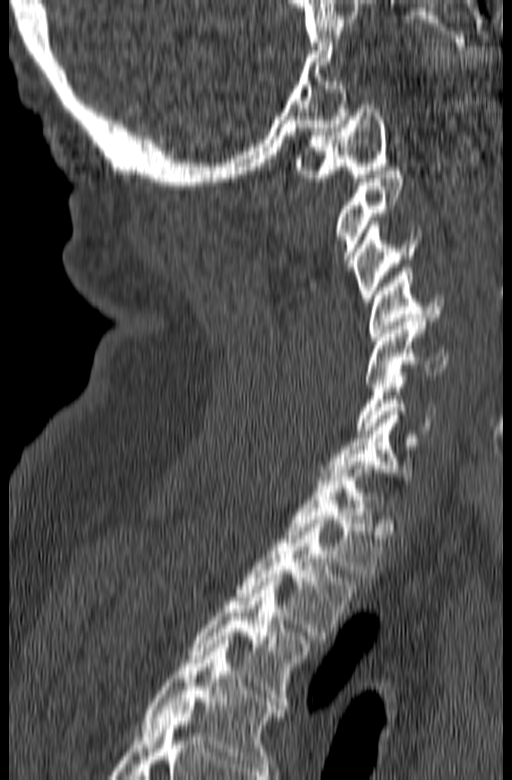 CT, spine; sagittal view; image width 165 mm
Labels in this scan begin with C1 at the top and end with T3 at the bottom.
<vertebrae><v name="C1" x1="295" y1="101" x2="388" y2="181"/><v name="C2" x1="336" y1="167" x2="403" y2="271"/><v name="C3" x1="352" y1="221" x2="420" y2="302"/><v name="C4" x1="370" y1="268" x2="444" y2="340"/><v name="C5" x1="364" y1="318" x2="448" y2="387"/><v name="C6" x1="355" y1="368" x2="435" y2="433"/><v name="C7" x1="320" y1="411" x2="419" y2="480"/><v name="T1" x1="283" y1="465" x2="383" y2="577"/><v name="T2" x1="237" y1="520" x2="357" y2="639"/><v name="T3" x1="189" y1="578" x2="309" y2="705"/></vertebrae>